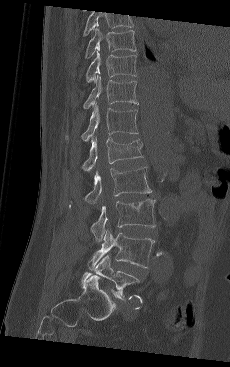

Spine CT — sagittal view — Bone window (WL 400, WW 1800) — the image spans 230 mm across
The highest labeled vertebra in this scan is T9; the lowest is L5.
<vertebrae><v name="T9" x1="85" y1="25" x2="136" y2="58"/><v name="T10" x1="85" y1="49" x2="136" y2="82"/><v name="T11" x1="83" y1="74" x2="138" y2="109"/><v name="T12" x1="65" y1="103" x2="138" y2="142"/><v name="L1" x1="82" y1="136" x2="143" y2="171"/><v name="L2" x1="69" y1="167" x2="152" y2="206"/><v name="L3" x1="91" y1="198" x2="156" y2="241"/><v name="L4" x1="90" y1="230" x2="154" y2="269"/><v name="L5" x1="81" y1="255" x2="140" y2="300"/></vertebrae>